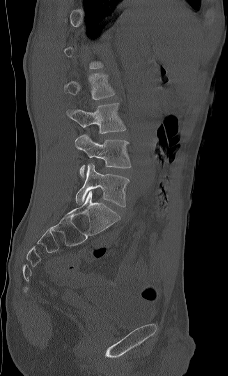
CT spine. sagittal view. W/L 1800/400 HU. 228x376 px
Bounding boxes as [x1, y1, x2, y2] in pixel coordinates.
Each vertebra is boxed only on the slices from the first to the last where its cross-section reaches a third of its largest, so a slice outside that range leaves it unboxed.
Vertebra bounding boxes:
- L2: [64, 73, 114, 99]
- L3: [66, 103, 126, 133]
- L4: [75, 133, 131, 177]
- L5: [75, 163, 129, 206]